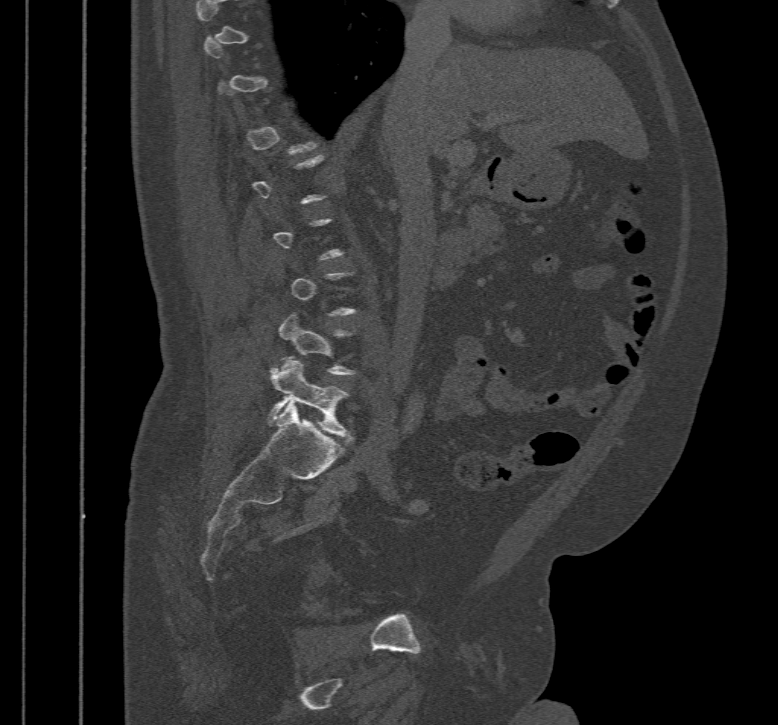 CT, spine — sagittal view — Bone window (WL 400, WW 1800) — 778x725 px
A vertebra gets a box only on the slices from the first to the last where its cross-section is at least a third of its largest; on a slice outside that range it gets none.
<vertebrae><v name="L4" x1="278" y1="312" x2="356" y2="374"/><v name="L5" x1="266" y1="359" x2="355" y2="442"/></vertebrae>